CT spine. 350 mm wide. sagittal plane, index 219
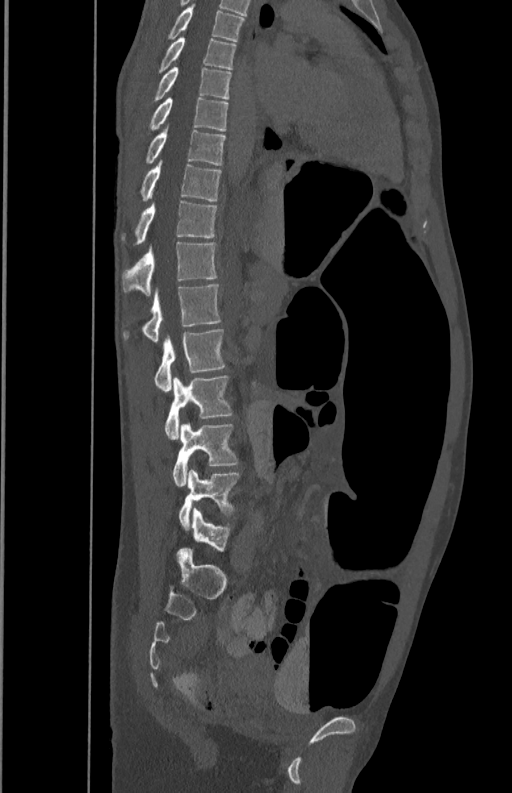
Each box is [x1, y1, x2, y2] in pixels: top-left corner, then bottom-right corner.
{"vertebrae":{"L5":[178,469,239,528],"L4":[172,424,237,487],"L3":[165,375,231,439],"L2":[155,329,226,393],"L1":[123,283,221,343],"T12":[121,241,217,294],"T11":[121,196,217,244],"T10":[139,161,221,200],"T9":[145,129,226,164],"T8":[142,97,228,135],"T7":[150,67,231,103],"T6":[156,37,236,73],"T5":[165,5,243,41]}}